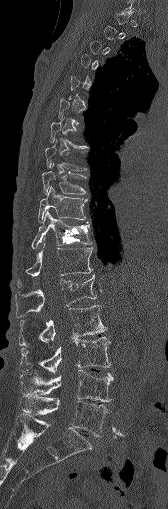 Spine CT · sagittal view · bone-window reconstruction · image width 168 mm

Box edges are left/top/right/bottom in pixels. A vertebra is boxed only from the first to the last slice where its cross-section is at least a third of its largest; slices outside that range leave it without a box. The labeled vertebrae in this slice are: T9 at left=42, top=171, right=86, bottom=194, T10 at left=38, top=187, right=86, bottom=222, T11 at left=32, top=211, right=91, bottom=248, T12 at left=26, top=238, right=92, bottom=277, L1 at left=15, top=275, right=96, bottom=316, L2 at left=20, top=305, right=106, bottom=345, L3 at left=20, top=336, right=110, bottom=374, L4 at left=19, top=370, right=112, bottom=401, L5 at left=20, top=395, right=109, bottom=436.